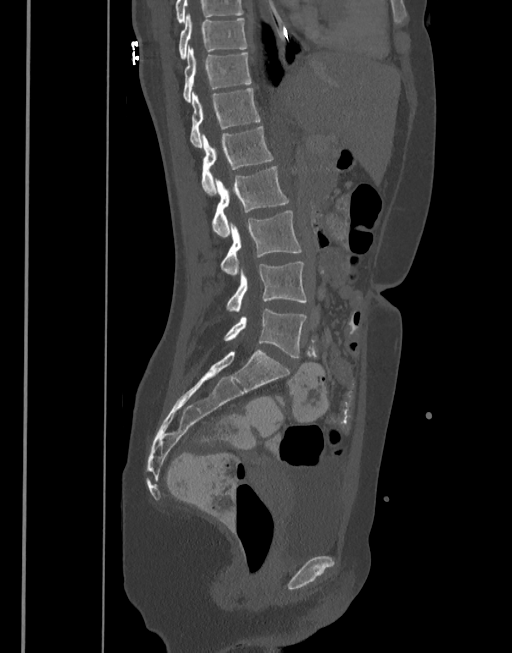
CT spine · sagittal view · W/L 1800/400 HU · 377 mm image width · 512x653 px
In this scan, the topmost labeled vertebra is T10 and the lowest is L5.
<vertebrae><v name="L5" x1="224" y1="308" x2="306" y2="357"/><v name="L4" x1="227" y1="262" x2="306" y2="311"/><v name="L3" x1="221" y1="210" x2="302" y2="275"/><v name="L2" x1="212" y1="166" x2="289" y2="237"/><v name="L1" x1="201" y1="126" x2="273" y2="196"/><v name="T12" x1="190" y1="88" x2="260" y2="148"/><v name="T11" x1="183" y1="45" x2="251" y2="102"/><v name="T10" x1="179" y1="15" x2="247" y2="59"/></vertebrae>